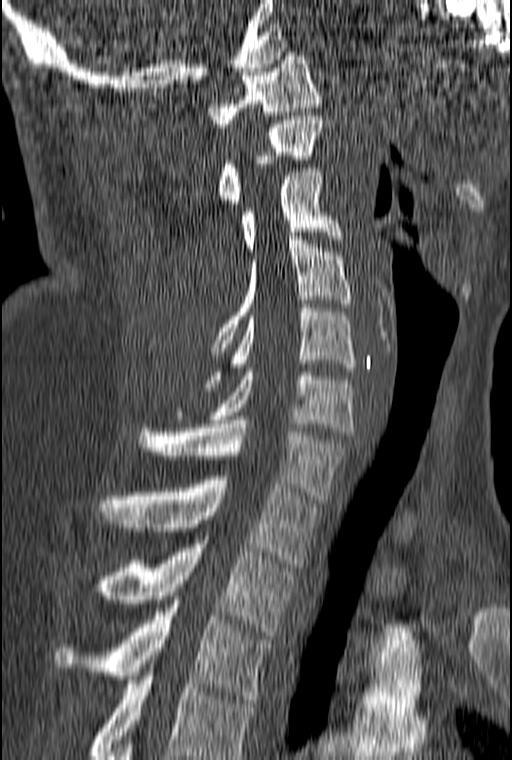
Spine CT; sagittal reformat; 512x760 px; image width 160 mm
Box edges are left/top/right/bottom in pixels.
The highest labeled vertebra in this scan is C1; the lowest is T3.
Vertebra bounding boxes:
- C1: left=207, top=52, right=322, bottom=127
- C2: left=218, top=116, right=322, bottom=207
- C3: left=240, top=168, right=344, bottom=255
- C4: left=210, top=236, right=352, bottom=355
- C5: left=202, top=304, right=356, bottom=387
- C6: left=174, top=368, right=353, bottom=435
- C7: left=136, top=420, right=346, bottom=503
- T1: left=97, top=476, right=318, bottom=567
- T2: left=88, top=540, right=295, bottom=635
- T3: left=52, top=604, right=272, bottom=703